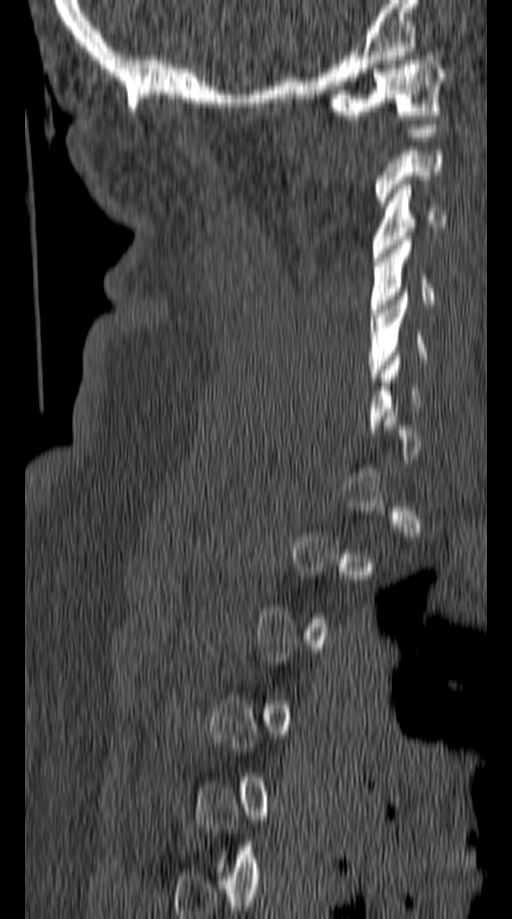 Computed tomography of the spine; the image spans 149 mm across; sagittal view
Boxes are given in columns x1, y1, x2, y2, the pixel coordinates of their top-left and bottom-right corners.
A vertebra gets a box only on the slices from the first to the last where its cross-section is at least a third of its largest; on a slice outside that range it gets none.
| vertebra | x1 | y1 | x2 | y2 |
|---|---|---|---|---|
| C1 | 325 | 52 | 447 | 119 |
| C3 | 372 | 180 | 447 | 257 |
| C4 | 369 | 236 | 434 | 317 |
| C5 | 368 | 292 | 426 | 381 |